CT, spine; sagittal reformat; 317 mm across the image; 317x559 px
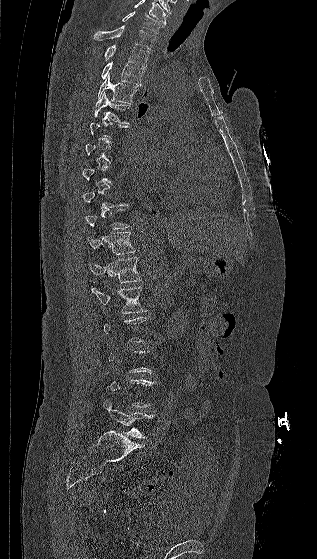 Box edges are left/top/right/bottom in pixels.
Each vertebra is boxed only on the slices from the first to the last where its cross-section reaches a third of its largest, so a slice outside that range leaves it unboxed.
The highest labeled vertebra in this scan is C7; the lowest is L5.
| vertebra | x1 | y1 | x2 | y2 |
|---|---|---|---|---|
| C7 | 122 | 11 | 163 | 33 |
| T1 | 93 | 26 | 155 | 49 |
| T2 | 104 | 45 | 149 | 67 |
| T3 | 100 | 61 | 144 | 85 |
| T4 | 97 | 74 | 138 | 104 |
| T5 | 94 | 92 | 129 | 123 |
| T11 | 89 | 231 | 135 | 254 |
| T12 | 89 | 257 | 141 | 283 |
| L1 | 91 | 287 | 148 | 313 |
| L5 | 103 | 398 | 155 | 438 |